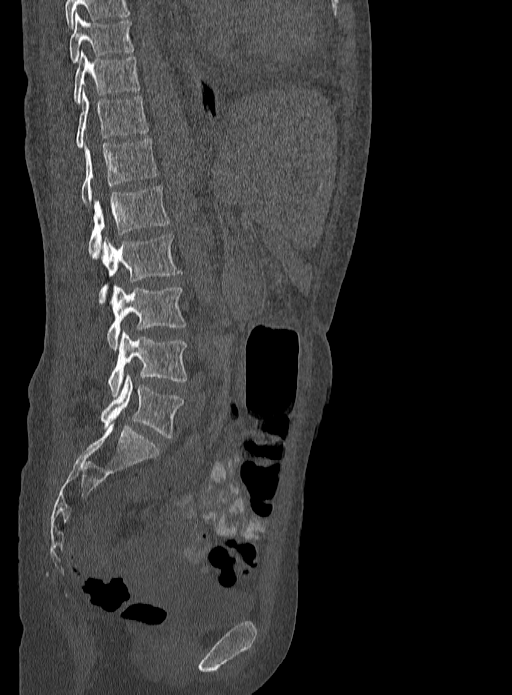

CT — sagittal view
Boxes are given in columns x1, y1, x2, y2, the pixel coordinates of their top-left and bottom-right corners.
| vertebra | x1 | y1 | x2 | y2 |
|---|---|---|---|---|
| L5 | 100 | 375 | 183 | 437 |
| L4 | 107 | 331 | 186 | 396 |
| L3 | 107 | 286 | 186 | 350 |
| L2 | 98 | 234 | 182 | 303 |
| L1 | 89 | 185 | 169 | 257 |
| T12 | 81 | 138 | 159 | 203 |
| T11 | 75 | 92 | 148 | 148 |
| T10 | 74 | 51 | 140 | 104 |
| T9 | 69 | 12 | 134 | 62 |